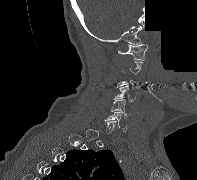
CT spine — the image is 197 mm wide — sagittal reformat — bone-window reconstruction — part of the scan has been removed (filled with constant black)
Bounding boxes as [x1, y1, x2, y2] in pixel coordinates.
Each vertebra is boxed only on the slices from the first to the last where its cross-section reaches a third of its largest, so a slice outside that range leaves it unboxed.
C6: [104, 112, 126, 131]
C5: [111, 99, 130, 116]
C4: [113, 85, 135, 101]
C3: [117, 80, 147, 87]
C1: [118, 44, 147, 60]